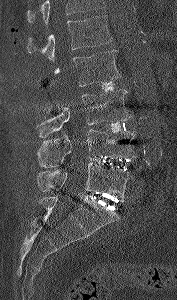
Spine CT · the image spans 177 mm across · sagittal view · bone-window reconstruction · 177x300 px
Boxes below are [x1, y1, x2, y2] in pixels.
A vertebra cut off by the top edge of the scan is not labeled and has no box.
{"vertebrae":{"L1":[26,15,113,60],"L2":[53,50,121,86],"L3":[36,89,131,137],"L4":[36,129,136,167],"L5":[36,163,134,200]}}